Spine computed tomography — sagittal view — W/L 1800/400 HU — 512x850 px — 443 mm across the image — 19 vertebrae labeled in this scan
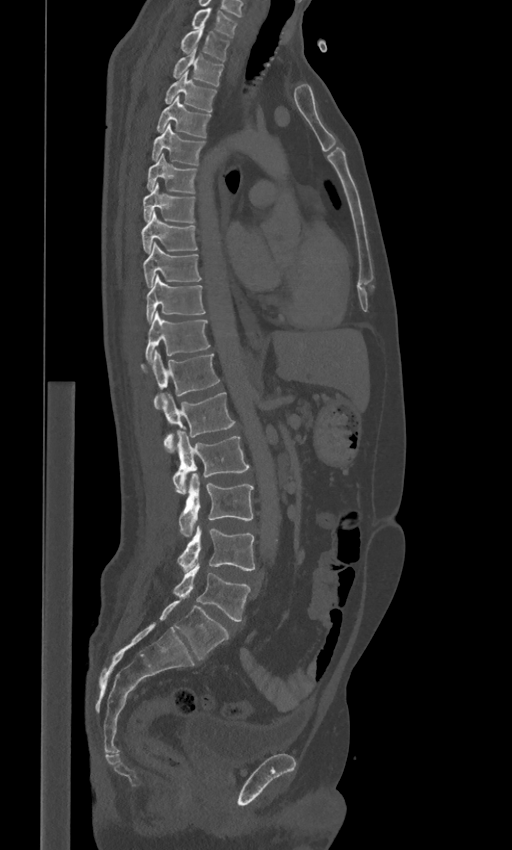 Each box given as x1,y1,x2,y2. In these labels the spine has an L6, a sixth lumbar vertebra below L5. The labeled vertebrae in this slice are: C7 at x1=191, y1=8, x2=237, y2=37, T1 at x1=180, y1=25, x2=229, y2=60, T2 at x1=172, y1=48, x2=223, y2=86, T3 at x1=164, y1=71, x2=216, y2=111, T4 at x1=156, y1=95, x2=210, y2=137, T5 at x1=151, y1=123, x2=205, y2=164, T6 at x1=147, y1=153, x2=197, y2=192, T7 at x1=143, y1=183, x2=195, y2=223, T8 at x1=141, y1=212, x2=198, y2=253, T9 at x1=143, y1=242, x2=201, y2=287, T10 at x1=146, y1=275, x2=205, y2=321, T11 at x1=146, y1=313, x2=210, y2=361, T12 at x1=141, y1=351, x2=220, y2=409, L1 at x1=162, y1=392, x2=235, y2=453, L2 at x1=172, y1=431, x2=249, y2=493, L3 at x1=179, y1=473, x2=253, y2=536, L4 at x1=178, y1=525, x2=254, y2=570, L5 at x1=173, y1=563, x2=250, y2=621, L6 at x1=159, y1=599, x2=229, y2=660.